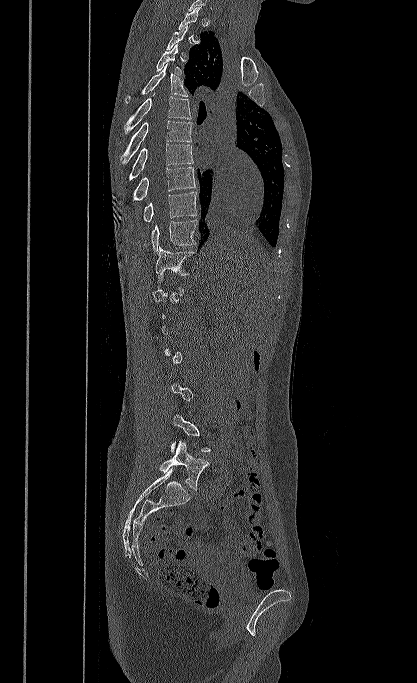 Spine computed tomography. the image spans 417 mm across. sagittal view. Bone window (WL 400, WW 1800). 417x683 px. Boxes: x1 y1 x2 y2 (pixel coords, space-separated). Not every vertebra on this slice has a box: a vertebra is boxed only from the first to the last slice where its cross-section is at least a third of its largest, and this slice is outside that range for at least one of them. The labeled vertebrae in this slice are: L5 at 159 441 209 489, T11 at 155 246 195 283, T10 at 151 220 198 252, T9 at 143 191 197 222, T8 at 132 167 195 201, T7 at 129 143 193 181, T6 at 120 120 192 164, T5 at 124 94 191 134, T4 at 125 63 187 103, T3 at 156 44 181 74.